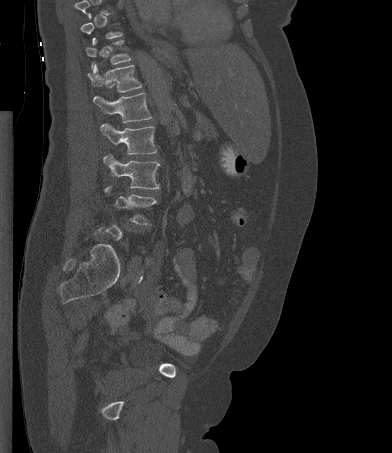 CT spine — sagittal view — bone-window reconstruction — 392 mm across the image
Coordinates as <box>x1,y1,x2,y2</box>.
A vertebra gets a box only on the slices from the first to the last where its cross-section is at least a third of its largest; on a slice outside that range it gets none.
Vertebra bounding boxes:
- T11: <box>86,40,131,68</box>
- T12: <box>87,64,142,92</box>
- L1: <box>93,92,151,122</box>
- L2: <box>100,123,156,154</box>
- L3: <box>103,154,159,189</box>
- L4: <box>104,186,156,224</box>